Spine CT; sagittal reformat
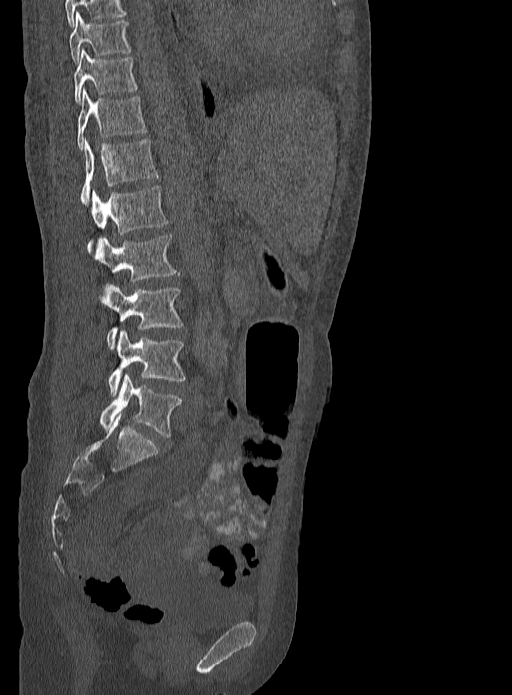

Boxes: x1:y1:x2:y2 in pixels.
Vertebra bounding boxes:
- L5: 100:374:182:437
- L4: 107:331:185:396
- L3: 100:284:183:350
- L2: 95:234:180:282
- L1: 87:186:168:253
- T12: 81:138:159:203
- T11: 77:89:146:148
- T10: 74:49:137:104
- T9: 69:12:131:62